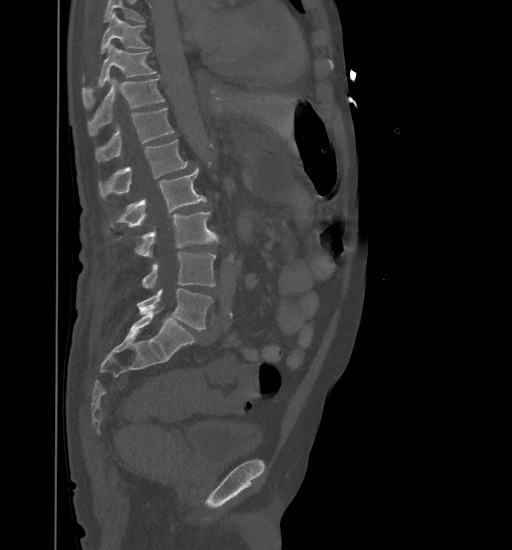
CT, spine. sagittal view. bone-window reconstruction. 512x550 px
Boxes are given in columns x1, y1, x2, y2, the pixel coordinates of their top-left and bottom-right corners.
A vertebra cut off by the top edge of the scan is not labeled and has no box.
| vertebra | x1 | y1 | x2 | y2 |
|---|---|---|---|---|
| T9 | 101 | 12 | 149 | 52 |
| T10 | 82 | 45 | 156 | 108 |
| T11 | 88 | 78 | 165 | 135 |
| T12 | 95 | 108 | 174 | 162 |
| L1 | 99 | 140 | 189 | 199 |
| L2 | 108 | 168 | 206 | 227 |
| L3 | 116 | 211 | 219 | 256 |
| L4 | 141 | 251 | 216 | 288 |
| L5 | 137 | 288 | 213 | 330 |